CT; sagittal view; bone window
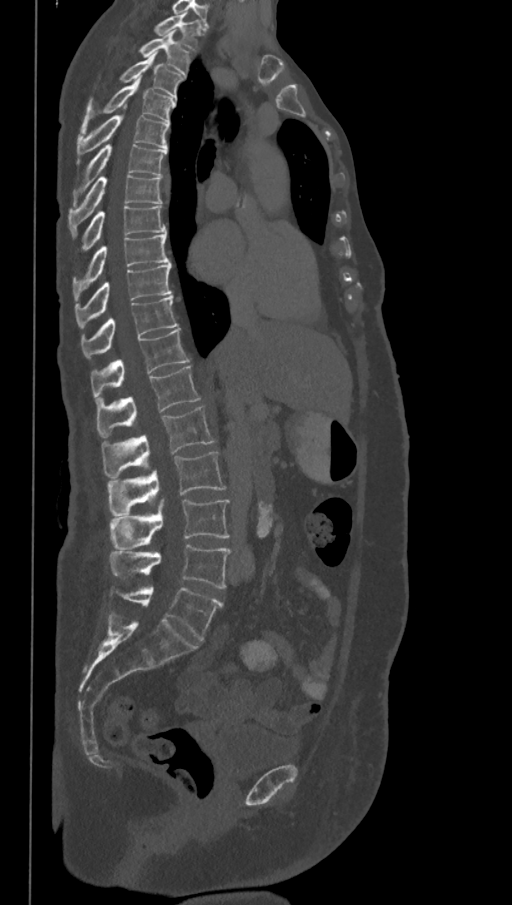
Boxes: x1:y1:x2:y2 in pixels. The labels name a sixth lumbar vertebra for this spine: L6, after L5. Vertebrae labeled: L6 at 121:587:223:640, L5 at 110:543:231:589, L4 at 110:500:230:550, L3 at 107:452:226:515, L2 at 101:406:216:477, L1 at 96:366:201:439, T12 at 90:328:189:400, T11 at 80:296:178:357, T10 at 75:264:171:327, T9 at 72:233:170:301, T8 at 82:205:166:251, T7 at 68:175:162:237, T6 at 74:144:167:204, T5 at 76:115:169:163, T4 at 80:79:175:132, T3 at 119:54:185:98, T2 at 138:30:191:74, T1 at 154:13:201:50.